Computed tomography of the spine. sagittal view. bone-window reconstruction
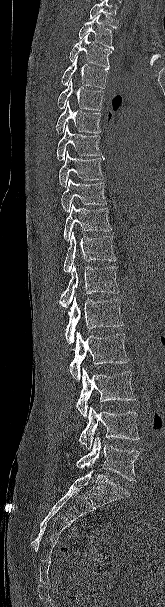
Bounding boxes as [x1, y1, x2, y2] in pixel coordinates. A vertebra cut off by the top edge of the scan is not labeled and has no box. The labeled vertebrae in this slice are: T2 at [78, 15, 113, 49], T3 at [69, 34, 112, 68], T4 at [61, 56, 108, 88], T5 at [57, 79, 104, 110], T6 at [55, 101, 101, 133], T7 at [56, 124, 101, 160], T8 at [59, 151, 104, 187], T9 at [61, 178, 107, 212], T10 at [63, 204, 112, 241], T11 at [63, 231, 116, 273], T12 at [59, 264, 119, 307], L1 at [65, 297, 123, 343], L2 at [69, 331, 129, 381], L3 at [76, 368, 136, 417], L4 at [78, 406, 139, 449], L5 at [75, 435, 140, 481].